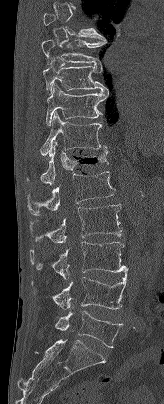
CT spine · sagittal reformat · Bone window (WL 400, WW 1800) · 164x404 px
Each box is [x1, y1, x2, y2] in pixels: top-left corner, then bottom-right corner.
A vertebra gets a box only on the slices from the first to the last where its cross-section is at least a third of its largest; on a slice outside that range it gets none.
{"vertebrae":{"L5":[55,311,122,348],"L4":[31,269,128,309],"L3":[29,241,128,280],"L2":[30,204,122,243],"L1":[27,171,115,215],"T12":[26,142,107,184],"T11":[40,112,107,156],"T10":[46,83,108,126],"T9":[42,57,107,92],"T8":[41,40,106,65]}}